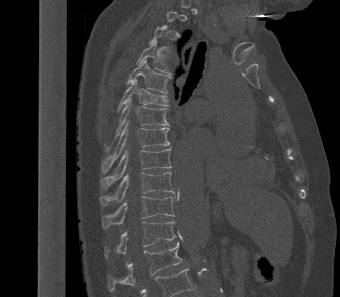

CT — sagittal reformat — 340x297 px. Bounding boxes as [x1, y1, x2, y2] in pixel coordinates. A vertebra gets a box only on the slices from the first to the last where its cross-section is at least a third of its largest; on a slice outside that range it gets none. The labeled vertebrae in this slice are: L1 at [108, 242, 181, 291], T12 at [105, 221, 176, 258], T11 at [101, 194, 176, 228], T10 at [100, 172, 174, 205], T9 at [100, 149, 172, 189], T8 at [101, 120, 170, 172], T7 at [105, 97, 169, 151], T6 at [117, 79, 168, 111], T5 at [126, 59, 171, 93], T4 at [136, 42, 170, 74].